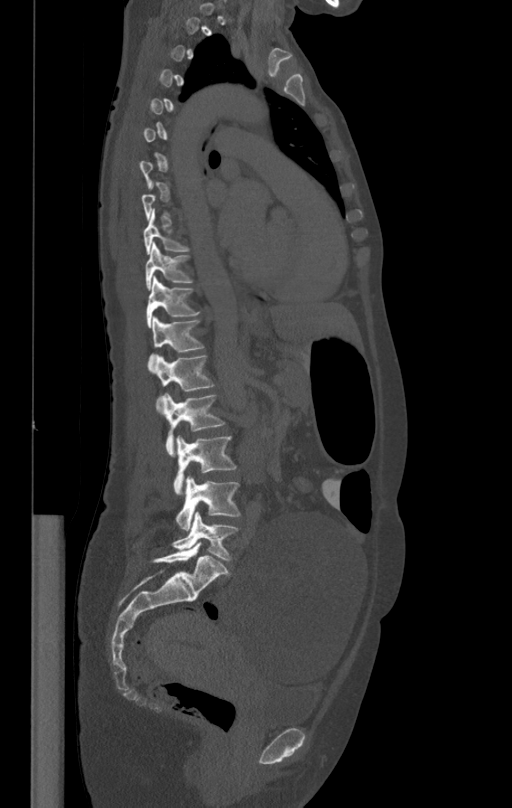 CT; sagittal reformat; 512x808 px. Each box given as x1,y1,x2,y2.
Not every vertebra on this slice has a box: a vertebra is boxed only from the first to the last slice where its cross-section is at least a third of its largest, and this slice is outside that range for at least one of them.
Vertebra bounding boxes:
- L5: x1=171, y1=512, x2=237, y2=560
- L4: x1=175, y1=475, x2=240, y2=530
- L3: x1=173, y1=436, x2=236, y2=494
- L2: x1=163, y1=393, x2=225, y2=456
- L1: x1=154, y1=356, x2=214, y2=412
- T12: x1=148, y1=317, x2=204, y2=370
- T11: x1=147, y1=277, x2=200, y2=327
- T10: x1=145, y1=244, x2=193, y2=289
- T9: x1=143, y1=213, x2=189, y2=253